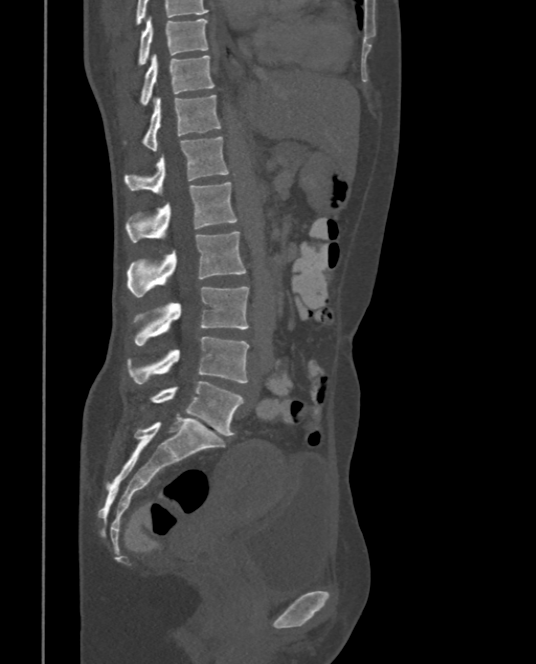 CT spine — sagittal reformat — Bone window (WL 400, WW 1800) — 536x664 px
In this scan, the topmost labeled vertebra is T9 and the lowest is L5.
<vertebrae><v name="L5" x1="152" y1="381" x2="243" y2="435"/><v name="L4" x1="127" y1="336" x2="249" y2="383"/><v name="L3" x1="134" y1="286" x2="249" y2="345"/><v name="L2" x1="127" y1="231" x2="246" y2="296"/><v name="L1" x1="126" y1="181" x2="238" y2="242"/><v name="T12" x1="125" y1="136" x2="229" y2="195"/><v name="T11" x1="142" y1="94" x2="220" y2="150"/><v name="T10" x1="140" y1="53" x2="215" y2="105"/><v name="T9" x1="138" y1="16" x2="207" y2="65"/></vertebrae>